Spine CT — sagittal plane, index 301 — the image is 336 mm wide — W/L 1800/400 HU — 8 vertebrae labeled in this scan
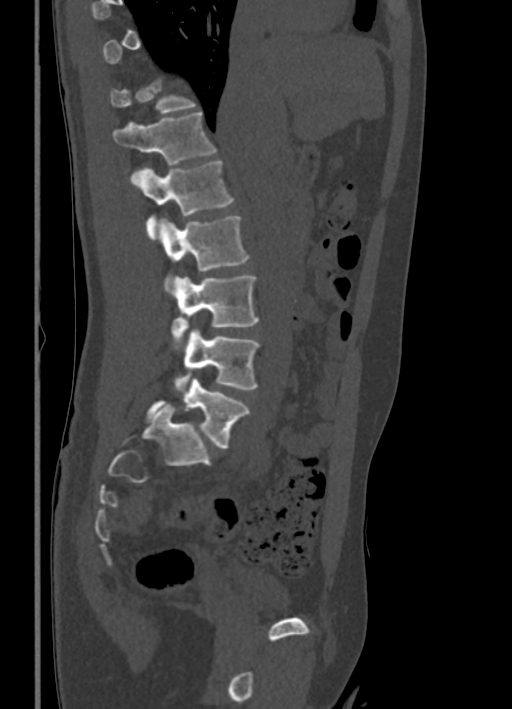

Box edges are left/top/right/bottom in pixels.
A vertebra is boxed only from the first to the last slice where its cross-section is at least a third of its largest; slices outside that range leave it without a box.
| vertebra | x1 | y1 | x2 | y2 |
|---|---|---|---|---|
| T11 | 109 | 78 | 197 | 114 |
| T12 | 113 | 111 | 217 | 165 |
| L1 | 131 | 160 | 233 | 239 |
| L2 | 160 | 216 | 249 | 293 |
| L3 | 170 | 276 | 258 | 349 |
| L4 | 174 | 329 | 259 | 390 |
| L5 | 145 | 376 | 250 | 449 |